CT; Sagittal slice 99/173; 512x1357 px; part of the image is a flat gray fill, not anatomy
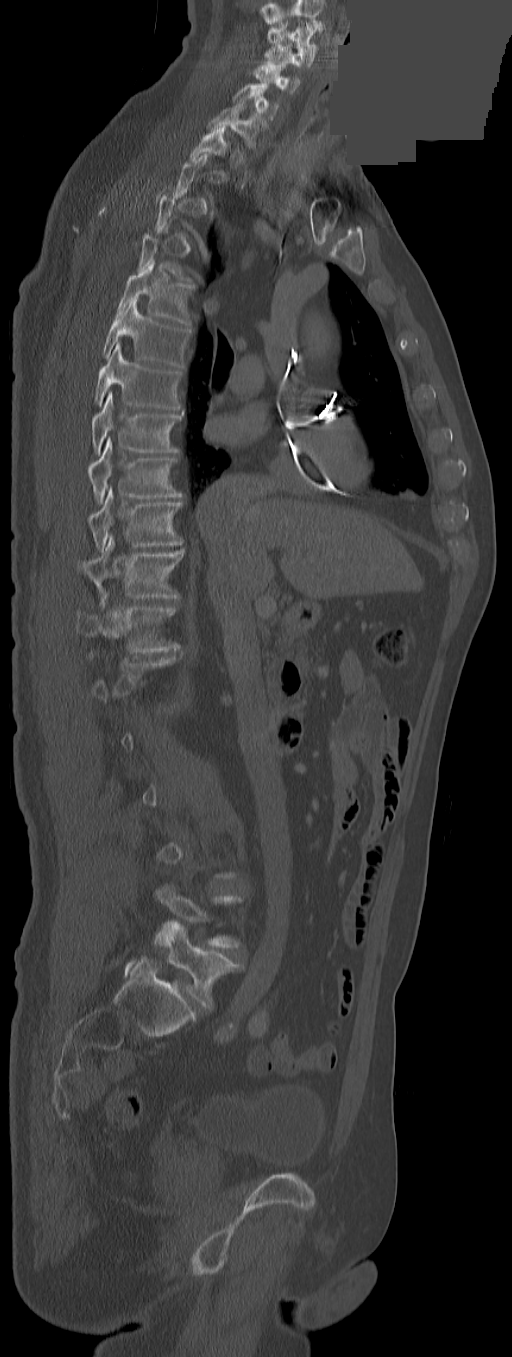

Boxes are (x1, y1, x2, y2) in pixels. Each vertebra is boxed only on the slices from the first to the last where its cross-section reaches a third of its largest, so a slice outside that range leaves it unboxed. In this scan, the topmost labeled vertebra is C3 and the lowest is L5. Vertebrae labeled: L5 at (155, 922, 239, 1008), T12 at (76, 594, 179, 652), T11 at (78, 535, 184, 598), T10 at (88, 486, 182, 551), T9 at (88, 439, 182, 503), T8 at (92, 391, 181, 453), T7 at (94, 341, 181, 409), T6 at (102, 297, 189, 367), T5 at (115, 259, 191, 325), C7 at (206, 101, 268, 148), C6 at (232, 83, 279, 120), C5 at (254, 60, 300, 93), C4 at (264, 45, 312, 66), C3 at (268, 21, 317, 56).